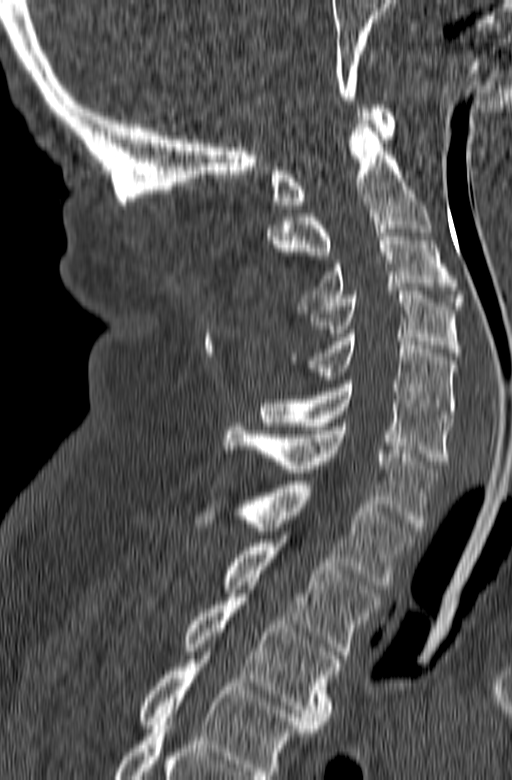

Computed tomography of the spine · sagittal view · bone-window reconstruction · the image is 165 mm wide. Box edges are left/top/right/bottom in pixels.
Labels in this scan begin with C1 at the top and end with T3 at the bottom.
Vertebra bounding boxes:
- C1: left=271, top=105, right=395, bottom=208
- C2: left=267, top=120, right=431, bottom=274
- C3: left=299, top=229, right=464, bottom=309
- C4: left=305, top=291, right=460, bottom=356
- C5: left=290, top=334, right=456, bottom=418
- C6: left=260, top=380, right=452, bottom=464
- C7: left=224, top=423, right=438, bottom=530
- T1: left=194, top=481, right=415, bottom=585
- T2: left=224, top=539, right=379, bottom=658
- T3: left=183, top=597, right=341, bottom=728